CT spine; sagittal plane, index 22; W/L 1800/400 HU; 250x325 px
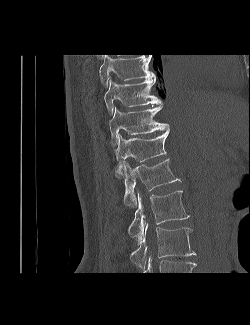
Boxes: x1:y1:x2:y2 in pixels.
This scan's labels start at T9 at the top and end at L3 at the bottom.
Vertebra bounding boxes:
- L3: 130:223:195:267
- L2: 128:190:189:245
- L1: 122:158:181:205
- T12: 115:131:169:178
- T11: 109:106:169:145
- T10: 104:78:163:114
- T9: 99:55:156:87